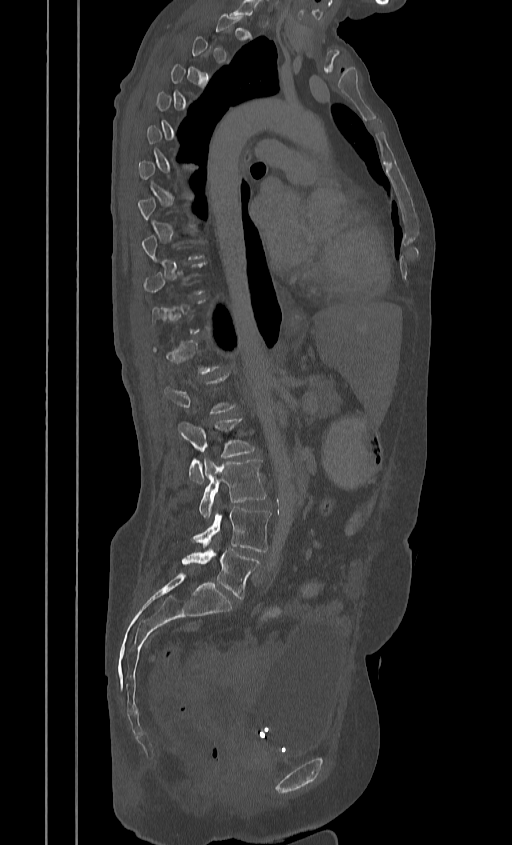 CT spine · sagittal view · 512x845 px
Coordinates as <box>x1,y1,x2,y2</box>. Not every vertebra on this slice has a box: a vertebra is boxed only from the first to the last slice where its cross-section is at least a third of its largest, and this slice is outside that range for at least one of them. Vertebrae labeled: L2 at <box>178,417,256,483</box>, L3 at <box>198,459,267,518</box>, L4 at <box>192,507,271,552</box>, L5 at <box>181,549,260,599</box>.